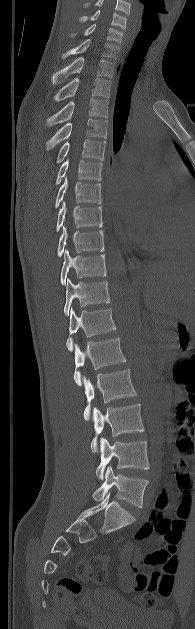
CT. image 195 mm wide. sagittal view. Boxes are given in columns x1, y1, x2, y2, the pixel coordinates of their top-left and bottom-right corners.
The highest labeled vertebra in this scan is C5; the lowest is L5.
| vertebra | x1 | y1 | x2 | y2 |
|---|---|---|---|---|
| C5 | 80 | 10 | 126 | 29 |
| C6 | 72 | 24 | 122 | 43 |
| C7 | 62 | 39 | 119 | 58 |
| T1 | 53 | 57 | 113 | 82 |
| T2 | 54 | 77 | 110 | 101 |
| T3 | 47 | 98 | 108 | 126 |
| T4 | 47 | 118 | 106 | 149 |
| T5 | 57 | 139 | 105 | 162 |
| T6 | 56 | 159 | 102 | 184 |
| T7 | 55 | 177 | 101 | 207 |
| T8 | 56 | 201 | 102 | 231 |
| T9 | 57 | 226 | 104 | 256 |
| T10 | 60 | 250 | 106 | 284 |
| T11 | 64 | 278 | 109 | 316 |
| T12 | 66 | 307 | 115 | 351 |
| L1 | 74 | 337 | 125 | 385 |
| L2 | 82 | 369 | 136 | 420 |
| L3 | 90 | 404 | 144 | 452 |
| L4 | 96 | 437 | 149 | 479 |
| L5 | 92 | 466 | 148 | 507 |